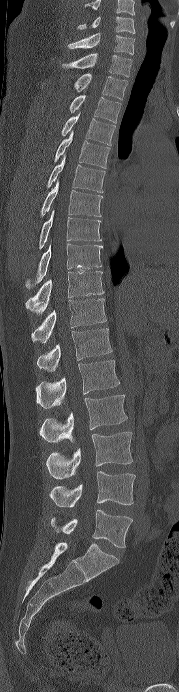

CT, spine · 179 mm across the image · sagittal view
Each box is [x1, y1, x2, y2] in pixels: top-left corner, then bottom-right corner.
This scan's labels start at C6 at the top and end at L5 at the bottom.
{"vertebrae":{"L5":[51,510,132,548],"L4":[49,471,135,507],"L3":[46,432,132,479],"L2":[39,394,127,442],"L1":[35,360,119,408],"T12":[36,328,112,371],"T11":[31,298,106,342],"T10":[25,271,104,314],"T9":[25,239,102,288],"T8":[39,209,101,248],"T7":[41,180,102,216],"T6":[47,155,105,193],"T5":[54,131,110,168],"T4":[61,112,115,145],"T3":[69,94,120,123],"T2":[74,73,127,100],"T1":[61,53,132,77],"C7":[67,32,134,54],"C6":[77,16,135,33]}}